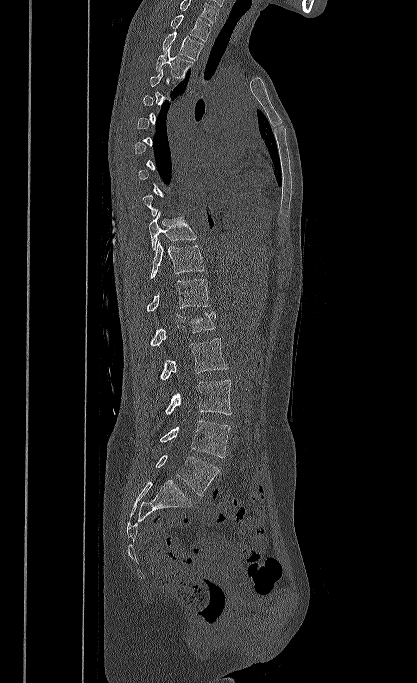 Spine CT · sagittal view · W/L 1800/400 HU. Each box given as x1,y1,x2,y2. A vertebra gets a box only on the slices from the first to the last where its cross-section is at least a third of its largest; on a slice outside that range it gets none. In this scan, the topmost labeled vertebra is T1 and the lowest is L5. Vertebrae labeled: T1 at x1=170, y1=14, x2=211, y2=41, T2 at x1=162, y1=31, x2=203, y2=60, T3 at x1=156, y1=46, x2=193, y2=79, T10 at x1=148, y1=211, x2=196, y2=250, T11 at x1=150, y1=241, x2=205, y2=278, T12 at x1=146, y1=279, x2=208, y2=311, L1 at x1=150, y1=311, x2=215, y2=346, L2 at x1=159, y1=338, x2=226, y2=380, L3 at x1=165, y1=380, x2=231, y2=414, L4 at x1=160, y1=420, x2=230, y2=457, L5 at x1=155, y1=454, x2=219, y2=495.